CT. sagittal reformat. 162x216 px
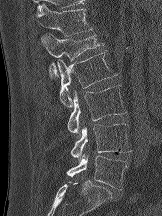
Each box given as x1,y1,x2,y2.
| vertebra | x1 | y1 | x2 | y2 |
|---|---|---|---|---|
| T12 | 36 | 3 | 92 | 36 |
| L1 | 41 | 34 | 103 | 78 |
| L2 | 44 | 50 | 117 | 111 |
| L3 | 67 | 85 | 126 | 136 |
| L4 | 70 | 124 | 131 | 160 |
| L5 | 66 | 154 | 127 | 190 |